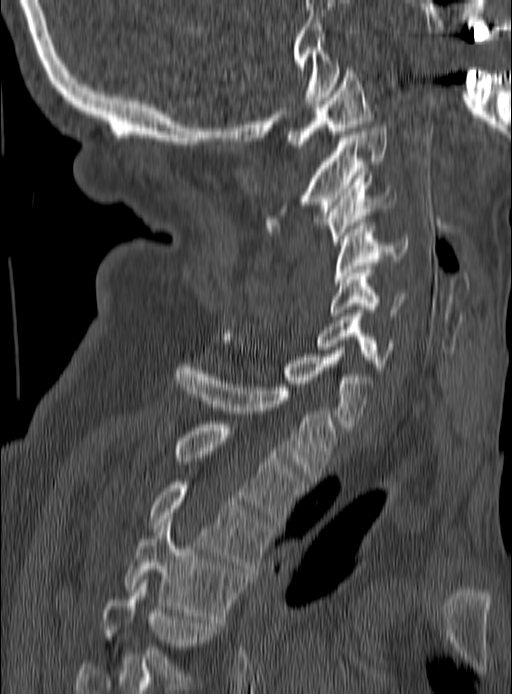

Computed tomography of the spine · sagittal view · W/L 1800/400 HU · image width 190 mm
Each vertebra maps to its box as [x1, y1, x2, y2], the pixel coordinates of its top-left and bottom-right corners.
{"vertebrae":{"C1":[286,64,372,147],"C2":[265,125,388,231],"C3":[322,175,395,245],"C4":[335,222,406,285],"C5":[330,269,405,316],"C6":[316,313,394,370],"C7":[223,337,374,430],"T1":[175,364,337,481],"T2":[176,424,304,524],"T3":[149,482,272,572],"T4":[125,519,245,619],"T5":[101,579,215,683]}}